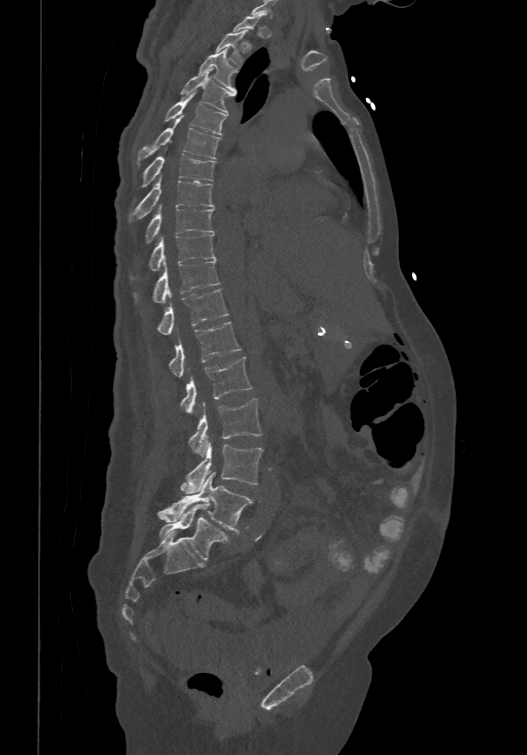

Computed tomography of the spine. sagittal view. image 474 mm wide
A vertebra gets a box only on the slices from the first to the last where its cross-section is at least a third of its largest; on a slice outside that range it gets none.
In these labels the spine has an L6, a sixth lumbar vertebra below L5.
<vertebrae><v name="T2" x1="215" y1="30" x2="247" y2="65"/><v name="T3" x1="199" y1="47" x2="237" y2="91"/><v name="T4" x1="180" y1="68" x2="236" y2="113"/><v name="T5" x1="164" y1="91" x2="227" y2="134"/><v name="T6" x1="138" y1="120" x2="220" y2="163"/><v name="T7" x1="135" y1="153" x2="216" y2="199"/><v name="T8" x1="129" y1="173" x2="213" y2="220"/><v name="T9" x1="145" y1="203" x2="213" y2="242"/><v name="T10" x1="149" y1="233" x2="216" y2="270"/><v name="T11" x1="153" y1="260" x2="219" y2="302"/><v name="T12" x1="157" y1="288" x2="227" y2="333"/><v name="L1" x1="169" y1="321" x2="241" y2="378"/><v name="L2" x1="180" y1="355" x2="252" y2="414"/><v name="L3" x1="189" y1="398" x2="261" y2="457"/><v name="L4" x1="181" y1="442" x2="262" y2="493"/><v name="L5" x1="157" y1="473" x2="252" y2="531"/><v name="L6" x1="158" y1="503" x2="229" y2="560"/></vertebrae>